CT — Sagittal slice 286/512 — Bone window (WL 400, WW 1800)
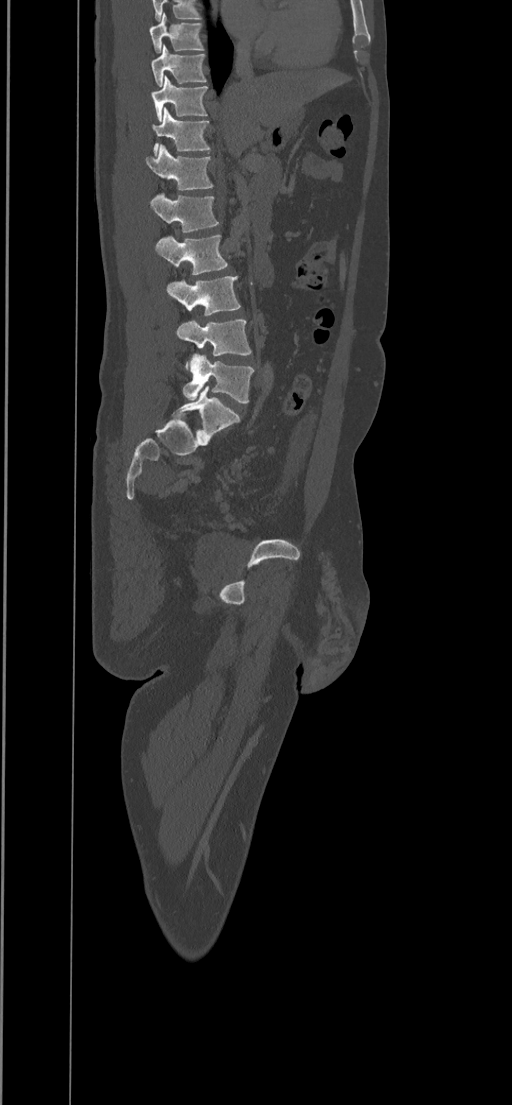 Coordinates as <box>x1,y1,x2,y2</box>. In this scan, the topmost labeled vertebra is T8 and the lowest is L5. 10 vertebrae labeled — L5 at <box>183,354,254,402</box>; L4 at <box>177,320,251,371</box>; L3 at <box>167,276,241,315</box>; L2 at <box>155,235,227,274</box>; L1 at <box>151,192,220,233</box>; T12 at <box>145,144,214,190</box>; T11 at <box>152,107,209,156</box>; T10 at <box>152,75,208,122</box>; T9 at <box>151,45,207,86</box>; T8 at <box>150,12,204,53</box>.